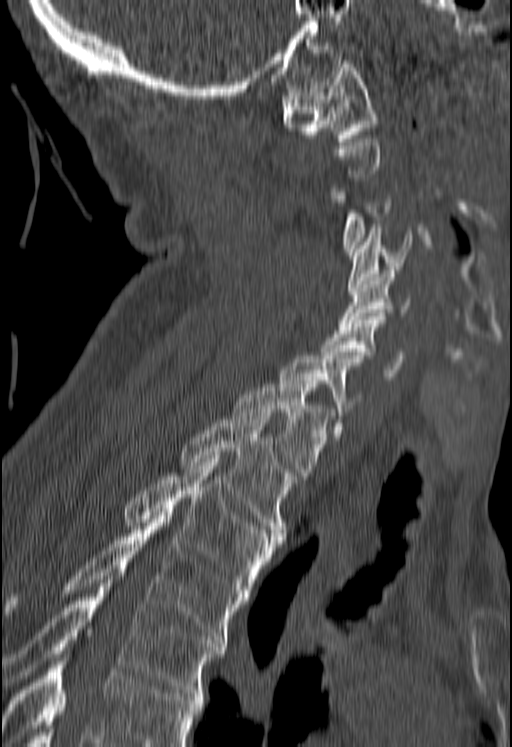
CT spine · sagittal view · W/L 1800/400 HU. Box edges are left/top/right/bottom in pixels.
A vertebra is boxed only from the first to the last slice where its cross-section is at least a third of its largest; slices outside that range leave it without a box.
Vertebrae that run past the bottom of the scan are left unlabeled.
| vertebra | x1 | y1 | x2 | y2 |
|---|---|---|---|---|
| C1 | 282 | 60 | 378 | 141 |
| C3 | 331 | 181 | 390 | 255 |
| C4 | 348 | 228 | 411 | 291 |
| C5 | 339 | 270 | 411 | 326 |
| C6 | 321 | 316 | 404 | 379 |
| C7 | 280 | 356 | 359 | 440 |
| T1 | 232 | 380 | 332 | 479 |
| T2 | 180 | 416 | 296 | 539 |
| T3 | 123 | 459 | 279 | 593 |
| T4 | 5 | 516 | 242 | 643 |
| T5 | 3 | 572 | 225 | 696 |